Spine CT · sagittal view · 512x933 px · 10 vertebrae labeled in this scan · a region is masked with a constant gray value
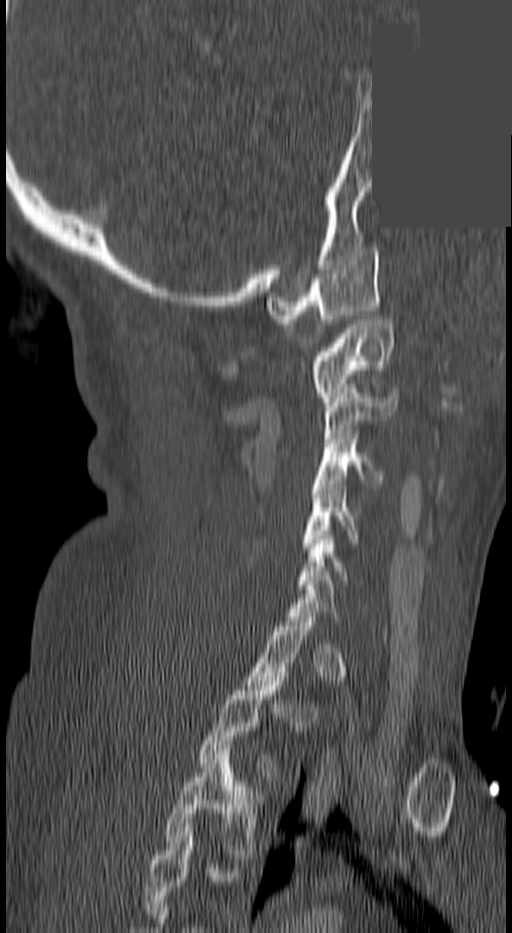
Boxes are (x1, y1, x2, y2) in pixels.
A vertebra gets a box only on the slices from the first to the last where its cross-section is at least a third of its largest; on a slice outside that range it gets none.
Labels in this scan begin with C1 at the top and end with T3 at the bottom.
C1: (266, 247, 381, 324)
C2: (308, 320, 392, 401)
C3: (323, 389, 398, 438)
C4: (312, 434, 384, 488)
C5: (299, 485, 359, 552)
C6: (298, 535, 348, 589)
T2: (195, 677, 284, 781)
T3: (162, 745, 264, 858)